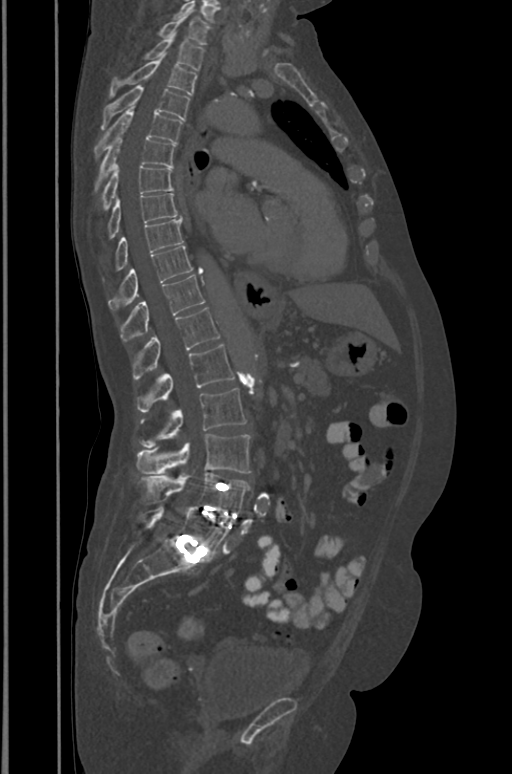

Spine computed tomography — sagittal view

Each box given as x1,y1,x2,y2.
| vertebra | x1 | y1 | x2 | y2 |
|---|---|---|---|---|
| T1 | 158 | 12 | 209 | 44 |
| T2 | 145 | 35 | 203 | 70 |
| T3 | 110 | 56 | 197 | 97 |
| T4 | 102 | 86 | 189 | 129 |
| T5 | 94 | 107 | 181 | 158 |
| T6 | 94 | 135 | 174 | 192 |
| T7 | 101 | 165 | 173 | 211 |
| T8 | 107 | 193 | 177 | 238 |
| T9 | 115 | 219 | 182 | 271 |
| T10 | 109 | 245 | 193 | 310 |
| T11 | 120 | 275 | 205 | 342 |
| T12 | 132 | 307 | 219 | 379 |
| L1 | 137 | 344 | 233 | 411 |
| L2 | 140 | 389 | 245 | 448 |
| L3 | 136 | 434 | 250 | 474 |
| L4 | 141 | 473 | 250 | 513 |
| L5 | 141 | 505 | 228 | 556 |